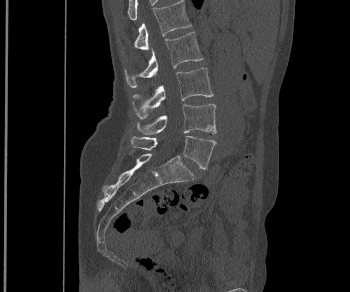
Spine CT — sagittal view — Bone window (WL 400, WW 1800)
Each vertebra maps to its box as [x1, y1, x2, y2], the pixel coordinates of its top-left and bottom-right corners.
{"vertebrae":{"L1":[134,0,191,50],"L2":[124,32,202,88],"L3":[133,67,213,118],"L4":[137,104,216,134],"L5":[131,136,216,169]}}